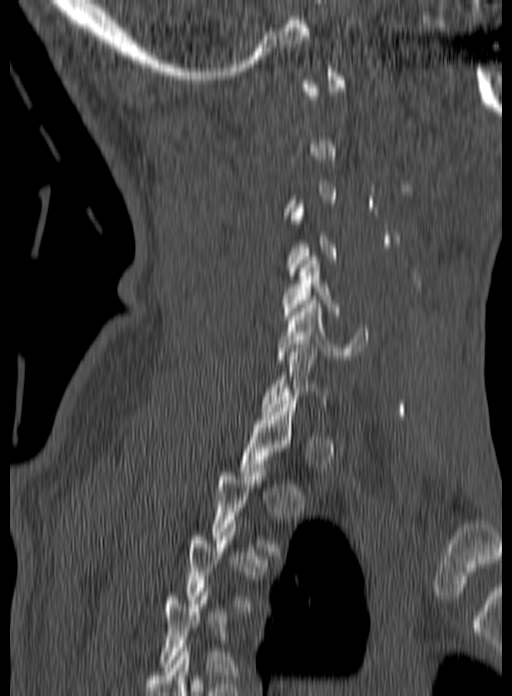

CT, spine · sagittal view · 512x696 px
Each box given as x1,y1,x2,y2.
Not every vertebra on this slice has a box: a vertebra is boxed only from the first to the last slice where its cross-section is at least a third of its largest, and this slice is outside that range for at least one of them.
Vertebra bounding boxes:
- C5: x1=281, y1=256, x2=338, y2=315
- C6: x1=276, y1=300, x2=368, y2=363